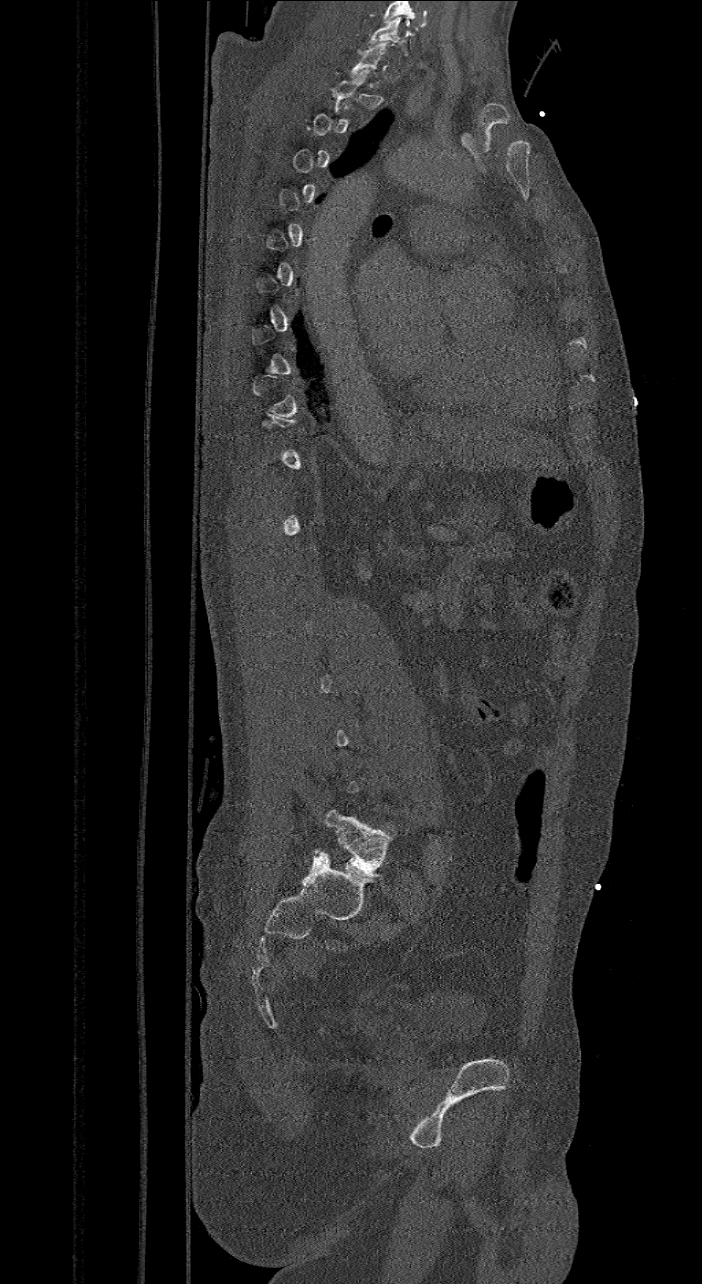

Spine CT — sagittal view
Boxes below are [x1, y1, x2, y2] in pixels.
A vertebra gets a box only on the slices from the first to the last where its cross-section is at least a third of its largest; on a slice outside that range it gets none.
This scan's labels start at C7 at the top and end at L6 at the bottom.
In these labels the spine has an L6, a sixth lumbar vertebra below L5.
{"vertebrae":{"L6":[314,811,388,877],"C7":[367,18,409,55]}}